Computed tomography of the spine; sagittal reformat; image 199 mm wide; W/L 1800/400 HU
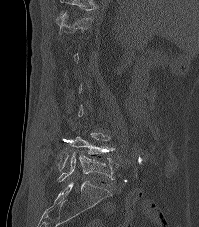 Labels in this scan begin with T12 at the top and end with L5 at the bottom.
<vertebrae><v name="T12" x1="55" y1="10" x2="92" y2="33"/><v name="L4" x1="57" y1="133" x2="114" y2="171"/><v name="L5" x1="57" y1="152" x2="118" y2="181"/></vertebrae>